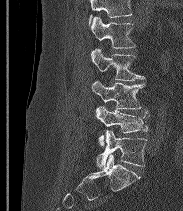

CT spine · the image spans 183 mm across · sagittal view

Each vertebra maps to its box as [x1, y1, x2, y2], the pixel coordinates of its top-left and bottom-right corners.
Where the top of the scan cuts through a vertebra, that vertebra gets no label or box.
The labels name a sixth lumbar vertebra for this spine: L6, after L5.
{"vertebrae":{"L6":[96,130,146,168],"L5":[95,106,149,146],"L4":[91,81,145,109],"L3":[90,48,144,80],"L2":[90,16,135,48]}}